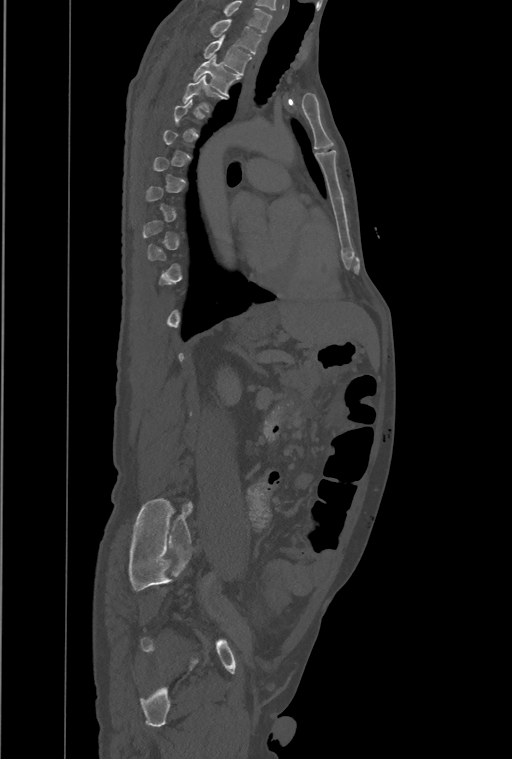 Computed tomography of the spine · sagittal reformat
Boxes are given in columns x1, y1, x2, y2, the pixel coordinates of their top-left and bottom-right corners.
A vertebra is boxed only from the first to the last slice where its cross-section is at least a third of its largest; slices outside that range leave it without a box.
The highest labeled vertebra in this scan is T1; the lowest is L4.
| vertebra | x1 | y1 | x2 | y2 |
|---|---|---|---|---|
| T4 | 183 | 76 | 223 | 111 |
| T3 | 193 | 56 | 239 | 96 |
| T2 | 204 | 36 | 252 | 75 |
| T1 | 211 | 19 | 260 | 54 |